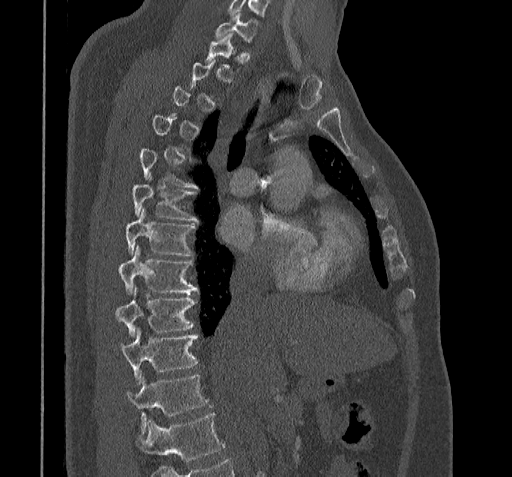
Computed tomography of the spine — sagittal view — W/L 1800/400 HU. Box edges are left/top/right/bottom in pixels. Each vertebra is boxed only on the slices from the first to the last where its cross-section reaches a third of its largest, so a slice outside that range leaves it unboxed. No box is given to a vertebra that the bottom edge of the scan cuts off. Vertebrae labeled: T11 at left=127, top=375, right=209, bottom=433, T10 at left=121, top=329, right=197, bottom=384, T9 at left=116, top=288, right=194, bottom=337, T8 at left=119, top=246, right=197, bottom=294, T7 at left=125, top=209, right=194, bottom=257, T6 at left=132, top=185, right=197, bottom=221, C7 at left=214, top=13, right=258, bottom=42.